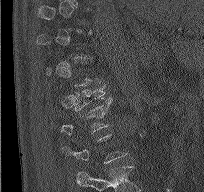

CT, spine; sagittal reformat
A vertebra gets a box only on the slices from the first to the last where its cross-section is at least a third of its largest; on a slice outside that range it gets none.
<vertebrae><v name="L1" x1="61" y1="98" x2="112" y2="134"/><v name="T12" x1="73" y1="84" x2="106" y2="111"/></vertebrae>